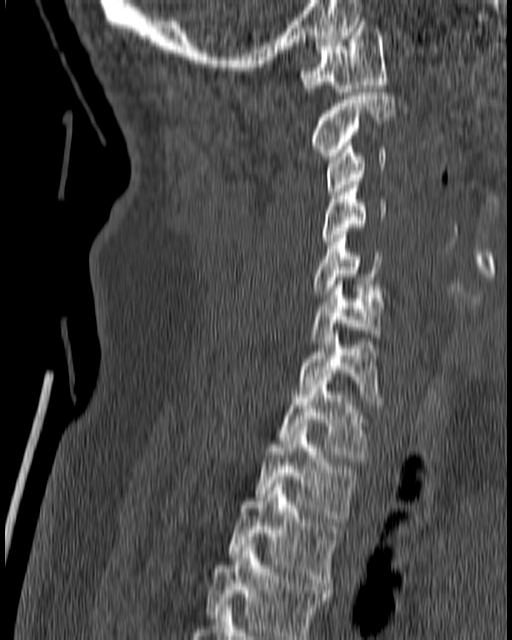

Spine computed tomography. sagittal view

Coordinates as <box>x1,y1,x2,y2</box>.
C1: <box>300,21,387,91</box>
C2: <box>311,92,395,159</box>
C3: <box>325,139,387,195</box>
C4: <box>322,181,387,248</box>
C5: <box>310,235,381,294</box>
C6: <box>311,281,387,344</box>
C7: <box>297,331,381,404</box>
T1: <box>277,377,367,461</box>
T2: <box>254,423,358,522</box>
T3: <box>228,476,341,589</box>
T4: <box>206,544,332,639</box>